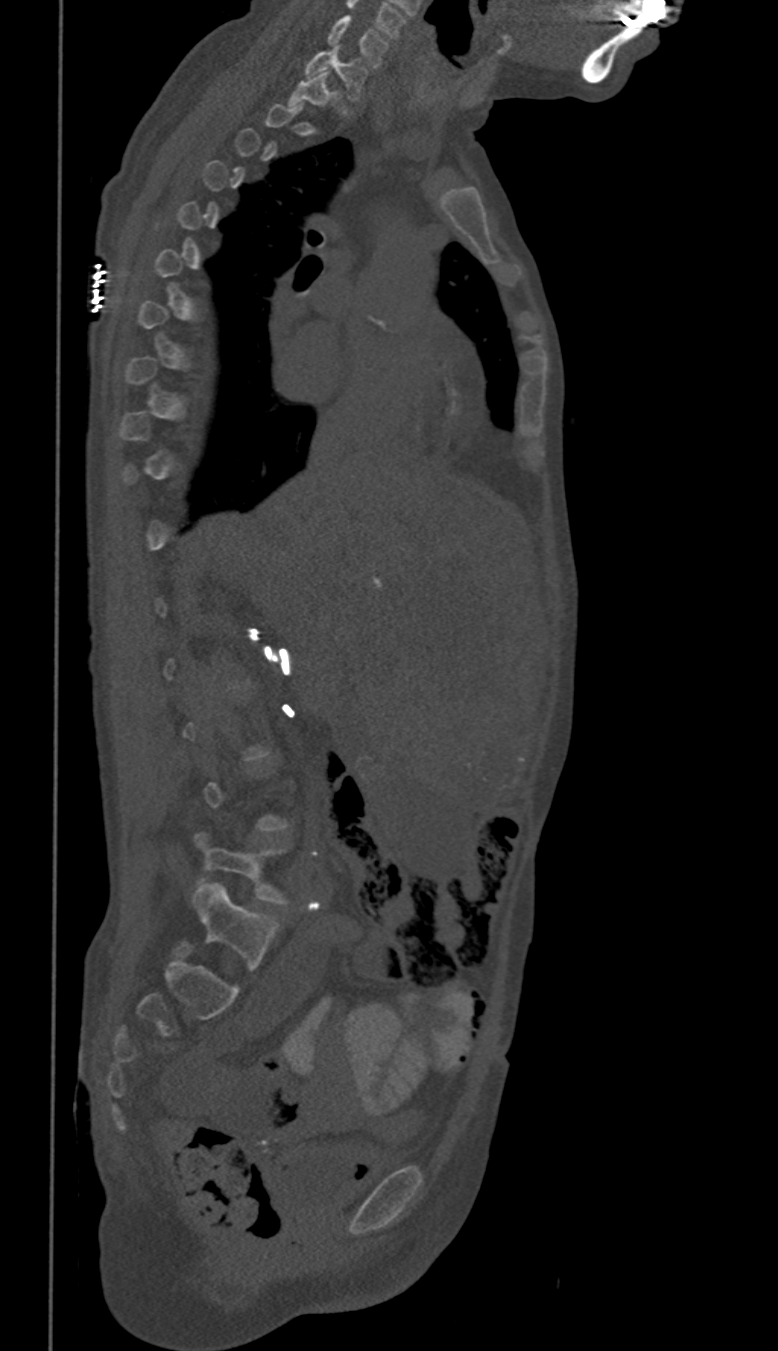

CT, spine · sagittal view · bone window

In the table, x1 and y1 are a box's top-left corner and x2 and y2 its bottom-right corner, in pixels.
Each vertebra is boxed only on the slices from the first to the last where its cross-section reaches a third of its largest, so a slice outside that range leaves it unboxed.
| vertebra | x1 | y1 | x2 | y2 |
|---|---|---|---|---|
| C6 | 327 | 15 | 388 | 66 |
| C7 | 307 | 47 | 365 | 99 |